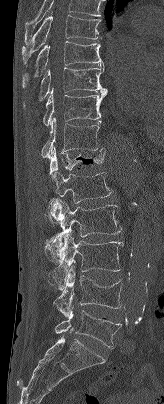

CT · sagittal view · 164 mm image width
In this scan, the topmost labeled vertebra is T7 and the lowest is L5.
<vertebrae><v name="T7" x1="21" y1="15" x2="101" y2="65"/><v name="T8" x1="22" y1="41" x2="104" y2="87"/><v name="T9" x1="23" y1="64" x2="108" y2="109"/><v name="T10" x1="42" y1="88" x2="106" y2="126"/><v name="T11" x1="41" y1="117" x2="103" y2="158"/><v name="T12" x1="49" y1="147" x2="105" y2="187"/><v name="L1" x1="45" y1="172" x2="112" y2="226"/><v name="L2" x1="45" y1="200" x2="122" y2="262"/><v name="L3" x1="53" y1="231" x2="123" y2="289"/><v name="L4" x1="53" y1="265" x2="122" y2="316"/><v name="L5" x1="55" y1="309" x2="121" y2="348"/></vertebrae>